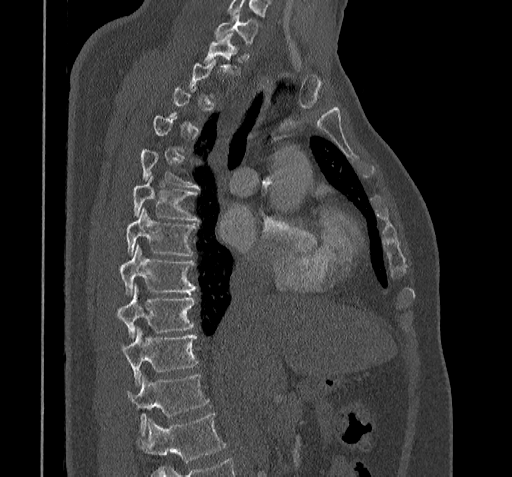
Spine computed tomography — image width 322 mm — sagittal view
In the table, x1 and y1 are a box's top-left corner and x2 and y2 its bottom-right corner, in pixels.
A vertebra is boxed only from the first to the last slice where its cross-section is at least a third of its largest; slices outside that range leave it without a box.
Vertebrae that run past the bottom of the scan are left unlabeled.
| vertebra | x1 | y1 | x2 | y2 |
|---|---|---|---|---|
| C7 | 214 | 13 | 258 | 46 |
| T1 | 203 | 33 | 240 | 75 |
| T5 | 141 | 149 | 199 | 188 |
| T6 | 133 | 176 | 199 | 221 |
| T7 | 127 | 208 | 196 | 257 |
| T8 | 121 | 245 | 196 | 295 |
| T9 | 117 | 285 | 194 | 337 |
| T10 | 122 | 326 | 197 | 385 |
| T11 | 128 | 375 | 209 | 434 |